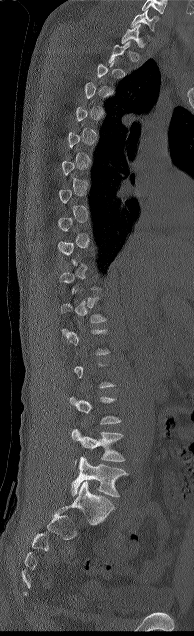 Spine CT; sagittal view; W/L 1800/400 HU; 194x636 px
Boxes below are [x1, y1, x2, y2] in pixels.
Each vertebra is boxed only on the slices from the first to the last where its cross-section reaches a third of its largest, so a slice outside that range leaves it unboxed.
{"vertebrae":{"C7":[131,9,158,31],"T1":[121,24,144,47],"L4":[71,428,125,465],"L5":[71,457,128,497]}}